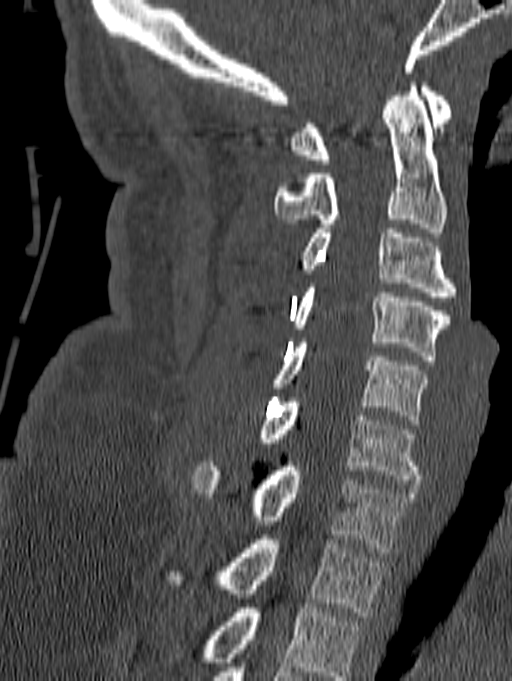

Computed tomography of the spine · sagittal view · Bone window (WL 400, WW 1800)
Box edges are left/top/right/bottom in pixels. Labels in this scan begin with C1 at the top and end with T1 at the bottom. The labeled vertebrae in this slice are: C1 at left=289, top=82, right=453, bottom=164, C2 at left=274, top=82, right=447, bottom=232, C3 at left=301, top=229, right=456, bottom=301, C4 at left=290, top=283, right=450, bottom=360, C5 at left=270, top=338, right=428, bottom=424, C6 at left=257, top=398, right=421, bottom=484, C7 at left=192, top=462, right=414, bottom=552, T1 at left=163, top=535, right=385, bottom=616.